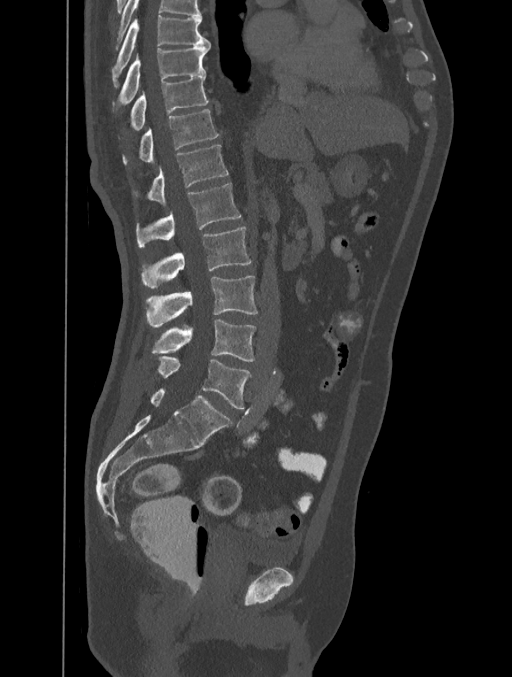

Spine computed tomography; sagittal reformat; 512x677 px; 401 mm image width

Boxes are (x1, y1, x2, y2) in pixels. This scan's labels start at T8 at the top and end at L5 at the bottom. The labeled vertebrae in this slice are: T8 at (111, 15, 210, 87), T9 at (117, 45, 210, 105), T10 at (130, 75, 208, 131), T11 at (122, 109, 218, 166), T12 at (134, 145, 227, 205), L1 at (136, 183, 241, 247), L2 at (140, 226, 250, 287), L3 at (145, 276, 257, 327), L4 at (152, 319, 255, 361), L5 at (157, 356, 250, 409).